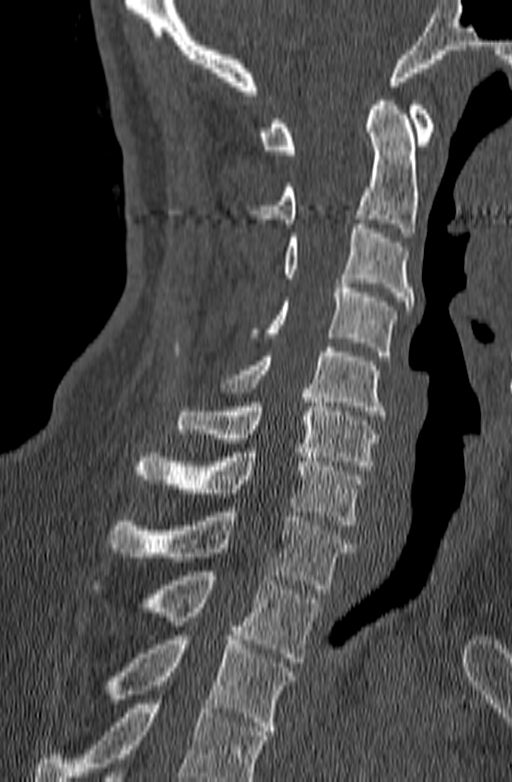
CT, spine · sagittal view · 512x782 px · image 140 mm wide
Columns x1, y1, x2, y2 give each box's top-left and bottom-right pixels.
A vertebra cut off by the bottom edge of the scan is not labeled and has no box.
| vertebra | x1 | y1 | x2 | y2 |
|---|---|---|---|---|
| C1 | 259 | 101 | 434 | 154 |
| C2 | 244 | 96 | 418 | 237 |
| C3 | 283 | 224 | 413 | 310 |
| C4 | 248 | 283 | 397 | 356 |
| C5 | 222 | 347 | 386 | 420 |
| C6 | 177 | 393 | 377 | 470 |
| C7 | 133 | 448 | 362 | 525 |
| T1 | 107 | 507 | 353 | 589 |
| T2 | 91 | 571 | 320 | 662 |
| T3 | 107 | 631 | 296 | 735 |